CT; sagittal plane, index 92; W/L 1800/400 HU; the image spans 152 mm across; 152x195 px
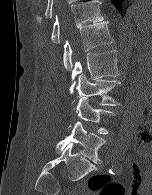

Each box given as x1,y1,x2,y2. Vertebrae labeled: T12 at x1=50, y1=0, x2=104, y2=43, L1 at x1=63, y1=21, x2=113, y2=70, L2 at x1=69, y1=50, x2=119, y2=93, L3 at x1=72, y1=73, x2=121, y2=105, L4 at x1=67, y1=97, x2=114, y2=134, L5 at x1=56, y1=121, x2=105, y2=163.